Spine computed tomography. Sagittal slice 218/512. bone-window reconstruction. 500 mm image width. scan covers 13 annotated vertebrae
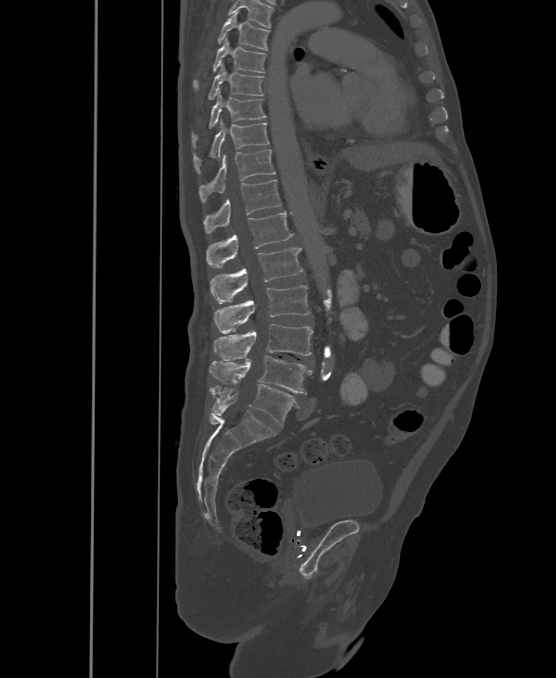
In the table, x1 and y1 are a box's top-left corner and x2 and y2 its bottom-right corner, in pixels.
The labels name a sixth lumbar vertebra for this spine: L6, after L5.
| vertebra | x1 | y1 | x2 | y2 |
|---|---|---|---|---|
| L6 | 211 | 384 | 297 | 425 |
| L5 | 208 | 356 | 312 | 393 |
| L4 | 213 | 324 | 313 | 360 |
| L3 | 214 | 285 | 310 | 333 |
| L2 | 211 | 247 | 303 | 303 |
| L1 | 206 | 211 | 293 | 267 |
| T12 | 203 | 179 | 281 | 233 |
| T11 | 199 | 149 | 276 | 203 |
| T10 | 193 | 121 | 269 | 174 |
| T9 | 191 | 93 | 266 | 147 |
| T8 | 207 | 65 | 264 | 99 |
| T7 | 192 | 39 | 266 | 90 |
| T6 | 217 | 11 | 269 | 49 |